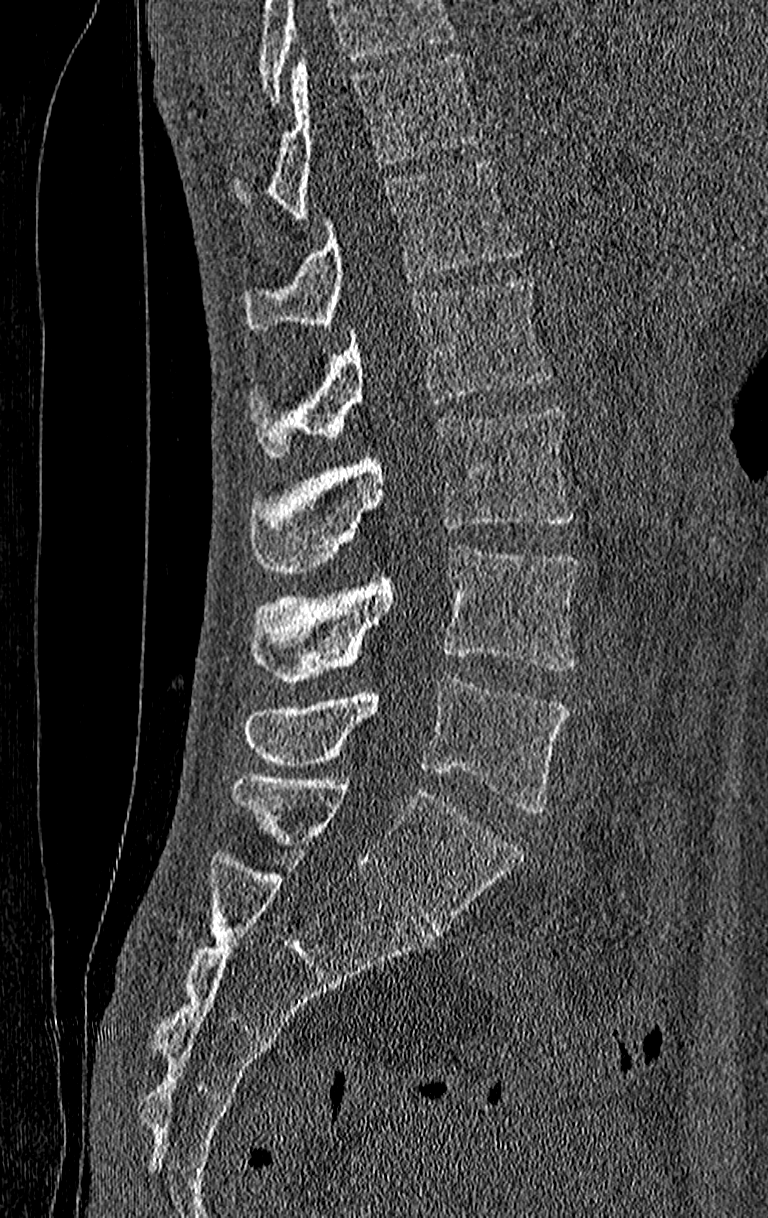
CT spine. sagittal reformat. the image is 210 mm wide. 768x1218 px
Box edges are left/top/right/bottom in pixels. A vertebra cut off by the top edge of the scan is not labeled and has no box. The highest labeled vertebra in this scan is T11; the lowest is L4. Vertebrae labeled: L4 at left=244, top=678, right=568, bottom=812, L3 at left=251, top=546, right=579, bottom=684, L2 at left=251, top=406, right=572, bottom=573, L1 at left=251, top=278, right=554, bottom=457, T12 at left=244, top=161, right=521, bottom=330, T11 at left=236, top=53, right=480, bottom=220.